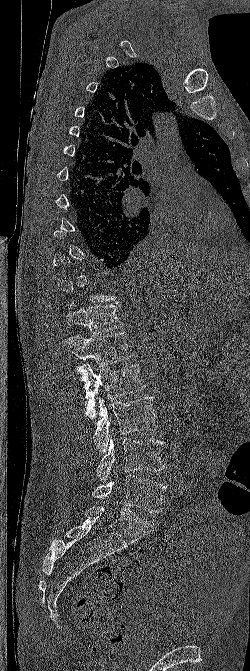
CT, spine · sagittal view · bone window · 250x671 px
Boxes below are [x1, y1, x2, y2] in pixels.
Not every vertebra on this slice has a box: a vertebra is boxed only from the first to the last slice where its cross-section is at least a third of its largest, and this slice is outside that range for at least one of them.
{"vertebrae":{"T12":[66,302,122,333],"L1":[63,332,133,367],"L2":[75,362,145,418],"L3":[93,397,157,452],"L4":[96,437,166,481],"L5":[92,475,166,512]}}